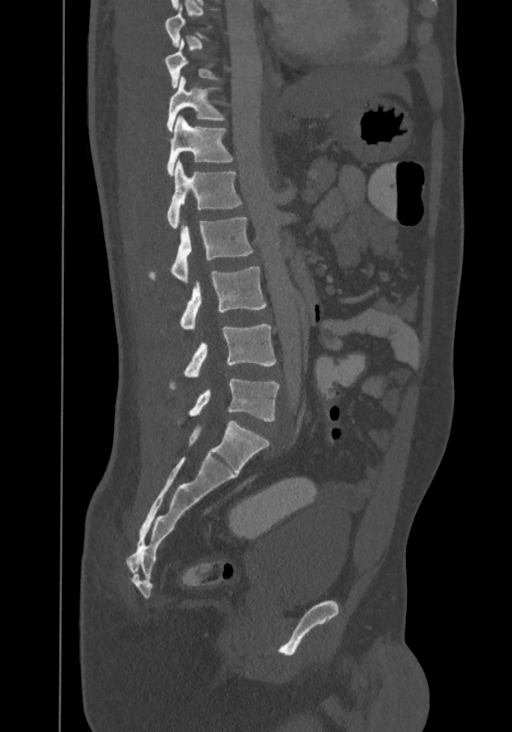 CT; 367 mm image width; sagittal reformat
Boxes: x1:y1:x2:y2 in pixels. A vertebra is boxed only from the first to the last slice where its cross-section is at least a third of its largest; slices outside that range leave it without a box. Labels in this scan begin with T8 at the top and end with L4 at the bottom. Vertebrae labeled: T10 at 167:77:223:131, T11 at 167:116:232:176, T12 at 167:161:242:229, L1 at 152:217:253:283, L2 at 181:266:265:329, L3 at 171:324:275:387, L4 at 190:378:279:421.